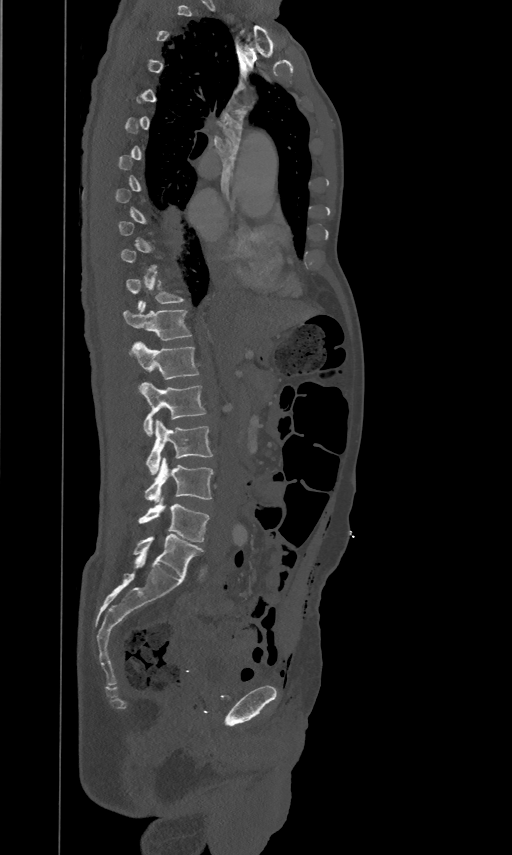
CT — sagittal view — 461 mm across the image — W/L 1800/400 HU — 512x855 px. Each box given as x1,y1,x2,y2.
Not every vertebra on this slice has a box: a vertebra is boxed only from the first to the last slice where its cross-section is at least a third of its largest, and this slice is outside that range for at least one of them.
| vertebra | x1 | y1 | x2 | y2 |
|---|---|---|---|---|
| L5 | 137 | 497 | 209 | 542 |
| L4 | 145 | 457 | 213 | 502 |
| L3 | 146 | 420 | 212 | 474 |
| L2 | 141 | 382 | 205 | 435 |
| L1 | 129 | 341 | 199 | 388 |
| T12 | 123 | 301 | 191 | 339 |